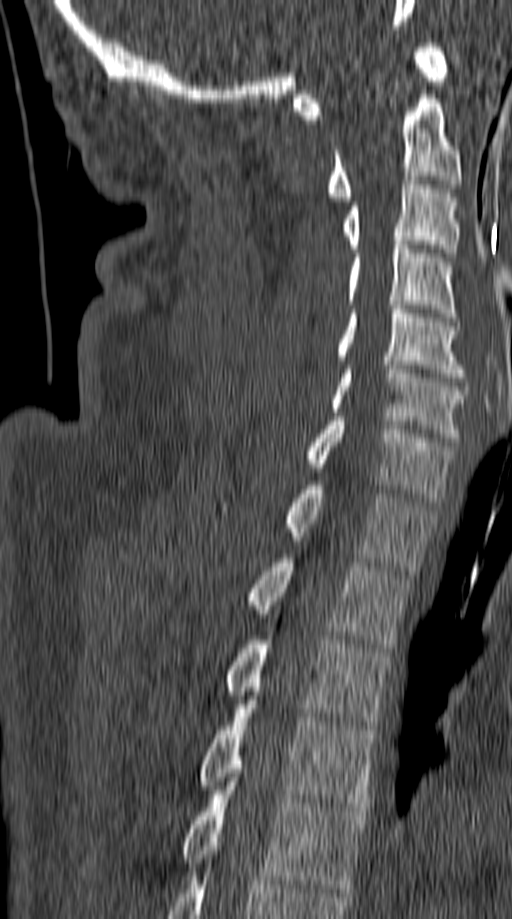

Computed tomography of the spine · sagittal reformat
Coordinates as <box>x1,y1,x2,y2</box>.
Vertebra bounding boxes:
- C1: <box>294,43,449,119</box>
- C2: <box>326,94,462,201</box>
- C3: <box>341,180,461,257</box>
- C4: <box>347,241,457,321</box>
- C5: <box>335,305,464,377</box>
- C6: <box>330,365,468,441</box>
- C7: <box>304,417,454,502</box>
- T1: <box>222,481,433,570</box>
- T2: <box>245,558,409,652</box>
- T3: <box>225,640,389,729</box>
- T4: <box>197,700,375,811</box>
- T5: <box>180,777,366,892</box>